Computed tomography of the spine. sagittal reformat. Bone window (WL 400, WW 1800)
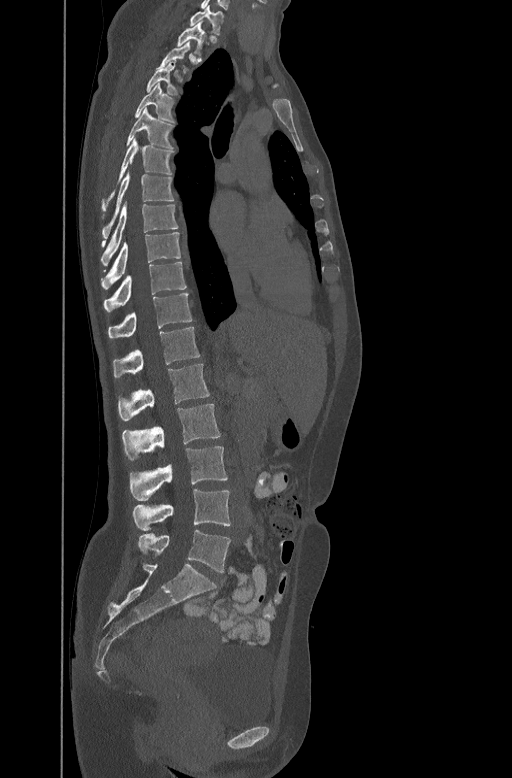

Columns x1, y1, x2, y2 give each box's top-left and bottom-right pixels.
Not every vertebra on this slice has a box: a vertebra is boxed only from the first to the last slice where its cross-section is at least a third of its largest, and this slice is outside that range for at least one of them.
| vertebra | x1 | y1 | x2 | y2 |
|---|---|---|---|---|
| C7 | 189 | 5 | 223 | 35 |
| T1 | 176 | 25 | 211 | 53 |
| T3 | 145 | 60 | 178 | 94 |
| T4 | 134 | 82 | 175 | 121 |
| T5 | 126 | 107 | 174 | 147 |
| T6 | 102 | 138 | 174 | 209 |
| T7 | 102 | 172 | 174 | 238 |
| T8 | 102 | 201 | 178 | 264 |
| T9 | 102 | 231 | 180 | 288 |
| T10 | 103 | 261 | 186 | 310 |
| T11 | 108 | 292 | 191 | 336 |
| T12 | 113 | 326 | 199 | 376 |
| L1 | 118 | 363 | 210 | 420 |
| L2 | 122 | 404 | 220 | 460 |
| L3 | 129 | 446 | 227 | 500 |
| L4 | 133 | 489 | 230 | 530 |
| L5 | 137 | 530 | 230 | 572 |